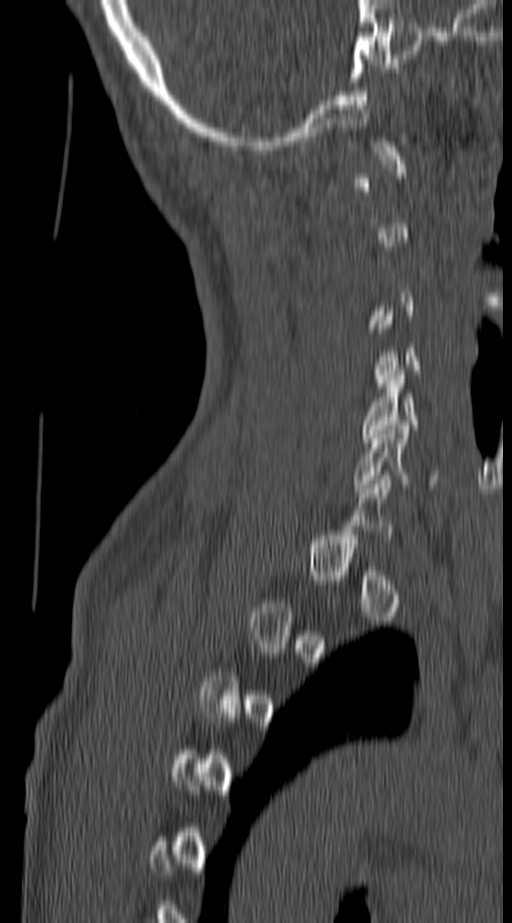
CT spine · sagittal view · W/L 1800/400 HU · 512x923 px
Box values are [left, top, right, bottom] in pixels.
Each vertebra is boxed only on the slices from the first to the last where its cross-section reaches a third of its largest, so a slice outside that range leaves it unboxed.
{"vertebrae":{"C5":[361,370,443,442],"C6":[352,425,438,493]}}